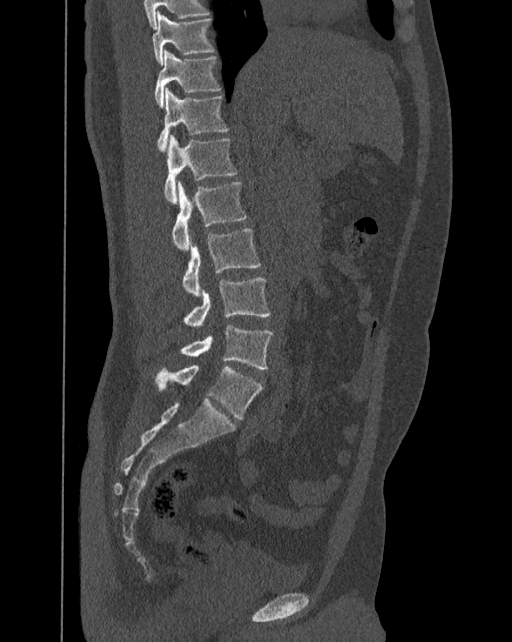

CT, spine; sagittal view; W/L 1800/400 HU; 392 mm image width
Box values are [left, top, right, bottom] in pixels.
In these labels the spine has an L6, a sixth lumbar vertebra below L5.
{"vertebrae":{"T10":[153,11,214,64],"T11":[154,48,221,107],"T12":[158,87,229,151],"L1":[164,135,237,204],"L2":[172,181,247,251],"L3":[183,229,260,296],"L4":[184,277,269,326],"L5":[180,324,272,369],"L6":[155,364,263,419]}}